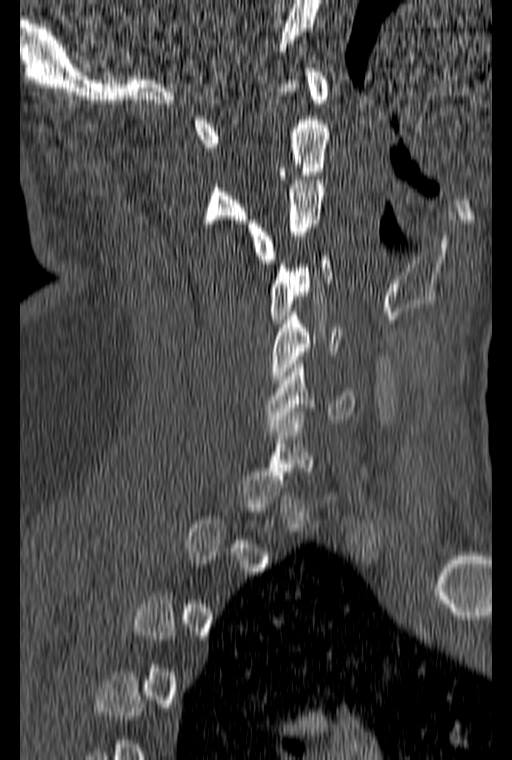 CT, spine. sagittal view. 512x760 px. Boxes are (x1, y1, x2, y2) in pixels.
A vertebra gets a box only on the slices from the first to the last where its cross-section is at least a third of its largest; on a slice outside that range it gets none.
C1: (193, 68, 328, 147)
C2: (202, 76, 329, 227)
C3: (247, 176, 326, 263)
C4: (270, 256, 333, 323)
C5: (270, 312, 345, 383)
C6: (266, 356, 355, 427)